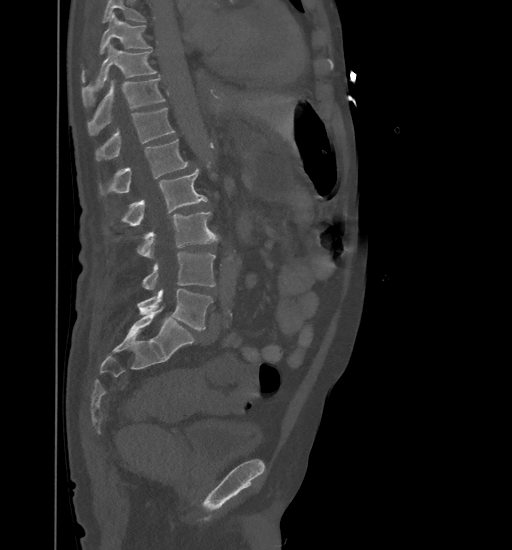
Spine computed tomography; sagittal view; 512x550 px. Boxes are (x1, y1, x2, y2) in pixels. No box is given to a vertebra that the top edge of the scan cuts off. 9 vertebrae labeled — L5 at (137, 289, 213, 330); L4 at (142, 252, 215, 289); L3 at (137, 211, 218, 257); L2 at (121, 169, 207, 226); L1 at (100, 139, 188, 195); T12 at (95, 108, 174, 161); T11 at (88, 78, 165, 135); T10 at (82, 45, 157, 107); T9 at (100, 12, 151, 54).